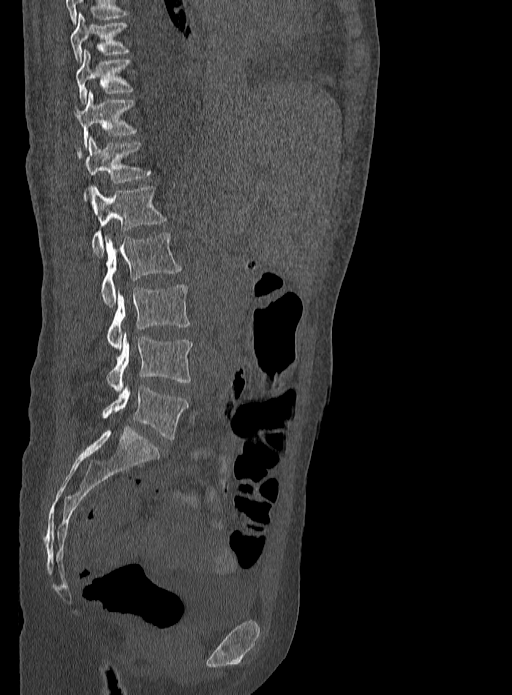 CT spine; sagittal view; 512x695 px. Boxes are (x1, y1, x2, y2) in pixels.
Vertebra bounding boxes:
- L5: (101, 384, 188, 439)
- L4: (106, 334, 192, 391)
- L3: (106, 284, 189, 348)
- L2: (101, 232, 182, 305)
- L1: (90, 186, 166, 254)
- T12: (77, 137, 151, 199)
- T11: (75, 91, 137, 147)
- T10: (75, 49, 134, 104)
- T9: (70, 14, 129, 64)